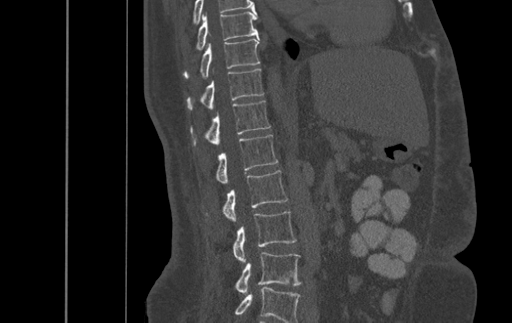
Computed tomography of the spine; sagittal reformat. Columns x1, y1, x2, y2 give each box's top-left and bottom-right pixels.
In this scan, the topmost labeled vertebra is T9 and the lowest is L4.
| vertebra | x1 | y1 | x2 | y2 |
|---|---|---|---|---|
| L4 | 236 | 252 | 301 | 294 |
| L3 | 234 | 211 | 296 | 262 |
| L2 | 223 | 170 | 288 | 221 |
| L1 | 216 | 134 | 277 | 183 |
| T12 | 191 | 100 | 270 | 145 |
| T11 | 187 | 69 | 263 | 110 |
| T10 | 184 | 38 | 259 | 78 |
| T9 | 197 | 12 | 258 | 49 |